Computed tomography of the spine — sagittal plane, index 55 — Bone window (WL 400, WW 1800) — 512x512 px
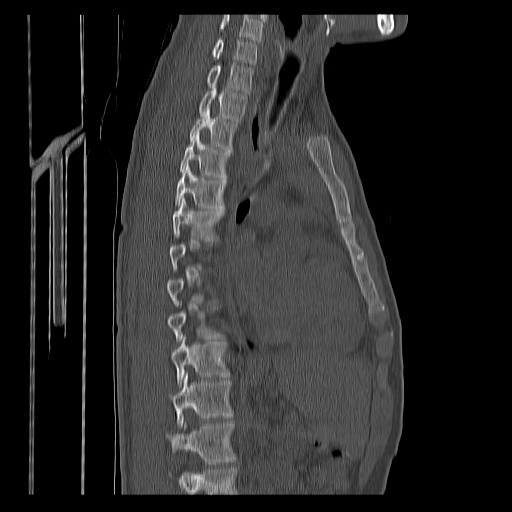

Box edges are left/top/right/bottom in pixels. A vertebra is boxed only from the first to the last slice where its cross-section is at least a third of its largest; slices outside that range leave it without a box. A vertebra cut off by the bottom edge of the scan is not labeled and has no box. In this scan, the topmost labeled vertebra is C7 and the lowest is T12. Vertebrae labeled: C7 at left=213, top=39, right=256, bottom=64, T1 at left=206, top=62, right=253, bottom=93, T2 at left=199, top=86, right=246, bottom=121, T3 at left=190, top=108, right=237, bottom=150, T4 at left=179, top=133, right=230, bottom=177, T5 at left=176, top=165, right=226, bottom=208, T6 at left=173, top=199, right=224, bottom=237, T9 at left=168, top=307, right=219, bottom=341, T10 at left=172, top=337, right=228, bottom=386, T11 at left=170, top=373, right=232, bottom=427, T12 at left=167, top=421, right=236, bottom=464.